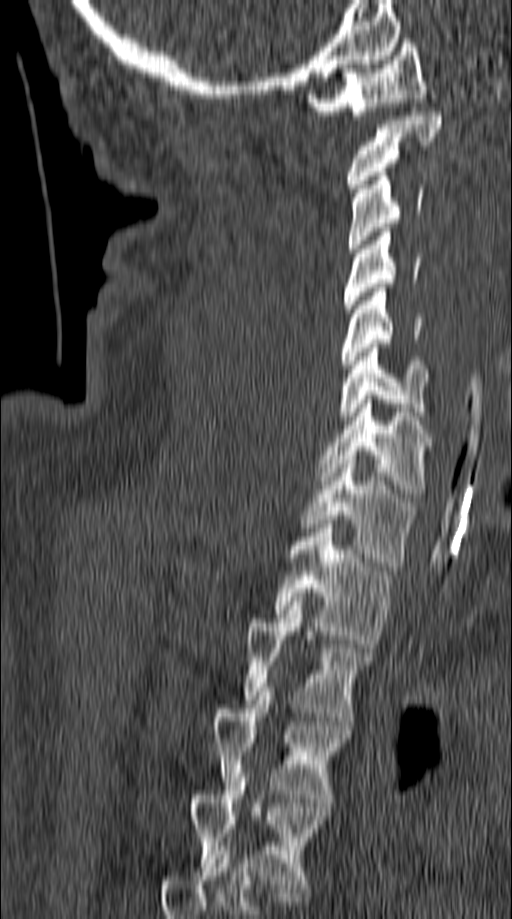
Spine CT · sagittal reformat · 512x919 px
Each box given as x1,y1,x2,y2.
| vertebra | x1 | y1 | x2 | y2 |
|---|---|---|---|---|
| C1 | 307 | 39 | 426 | 119 |
| C2 | 348 | 112 | 443 | 192 |
| C3 | 348 | 172 | 423 | 252 |
| C4 | 343 | 228 | 420 | 313 |
| C5 | 341 | 288 | 423 | 368 |
| C6 | 338 | 344 | 442 | 420 |
| C7 | 317 | 399 | 433 | 497 |
| T1 | 299 | 460 | 417 | 566 |
| T2 | 274 | 524 | 392 | 648 |
| T3 | 245 | 597 | 371 | 721 |
| T4 | 211 | 687 | 351 | 802 |
| T5 | 190 | 777 | 327 | 892 |